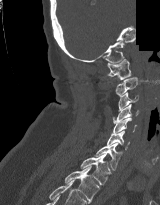 Spine CT · sagittal view · W/L 1800/400 HU · part of the image has been replaced by a constant value
Boxes are given in columns x1, y1, x2, y2, the pixel coordinates of their top-left and bottom-right corners.
| vertebra | x1 | y1 | x2 | y2 |
|---|---|---|---|---|
| C1 | 107 | 59 | 131 | 79 |
| C2 | 115 | 77 | 137 | 96 |
| C3 | 118 | 92 | 138 | 111 |
| C4 | 113 | 104 | 138 | 123 |
| C5 | 111 | 118 | 137 | 135 |
| C6 | 107 | 131 | 129 | 150 |
| C7 | 94 | 143 | 121 | 170 |
| T1 | 80 | 154 | 111 | 185 |
| T2 | 64 | 166 | 99 | 203 |